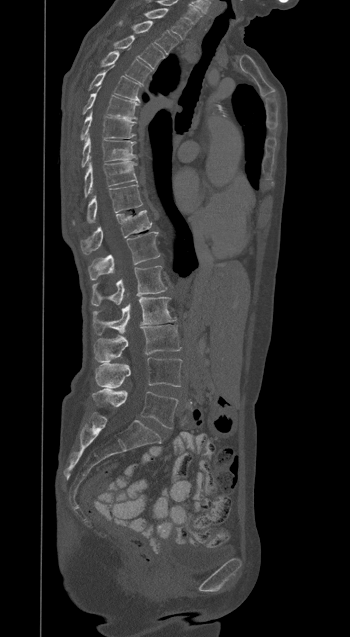

Spine CT — sagittal view — bone-window reconstruction — 350x637 px — 350 mm wide
Boxes below are [x1, y1, x2, y2] in pixels.
{"vertebrae":{"T1":[145,8,190,39],"T2":[133,21,178,53],"T3":[114,35,164,69],"T4":[101,52,151,82],"T5":[90,67,140,101],"T6":[83,93,137,119],"T7":[81,113,136,139],"T8":[81,136,135,167],"T9":[84,161,136,196],"T10":[73,185,142,223],"T11":[80,210,151,254],"T12":[88,232,160,280],"L1":[91,266,167,305],"L2":[92,297,175,334],"L3":[94,325,180,363],"L4":[95,357,181,388],"L5":[92,389,178,428]}}